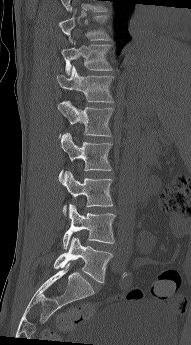
CT, spine · sagittal view · bone-window reconstruction
Box edges are left/top/right/bottom in pixels.
| vertebra | x1 | y1 | x2 | y2 |
|---|---|---|---|---|
| L5 | 53 | 237 | 112 | 283 |
| L4 | 63 | 204 | 115 | 249 |
| L3 | 61 | 171 | 113 | 216 |
| L2 | 59 | 133 | 112 | 182 |
| L1 | 58 | 100 | 113 | 137 |
| T12 | 57 | 66 | 113 | 102 |
| T11 | 61 | 41 | 113 | 75 |
| T10 | 58 | 8 | 111 | 42 |